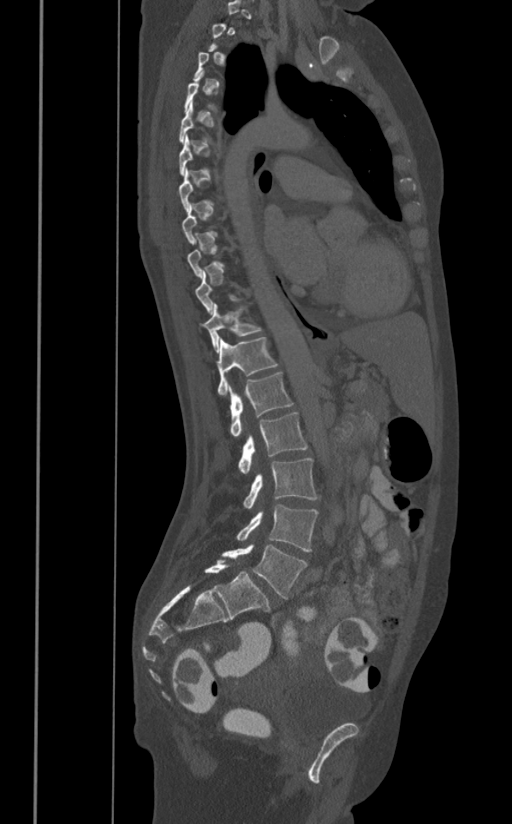

CT; sagittal view; W/L 1800/400 HU
Box values are [left, top, right, bottom] in pixels.
A vertebra gets a box only on the slices from the first to the last where its cross-section is at least a third of its largest; on a slice outside that range it gets none.
{"vertebrae":{"L5":[222,543,307,599],"L4":[236,504,318,552],"L3":[243,458,318,508],"L2":[238,412,308,474],"L1":[229,372,293,437],"T12":[216,337,278,395],"T11":[200,303,261,351]}}